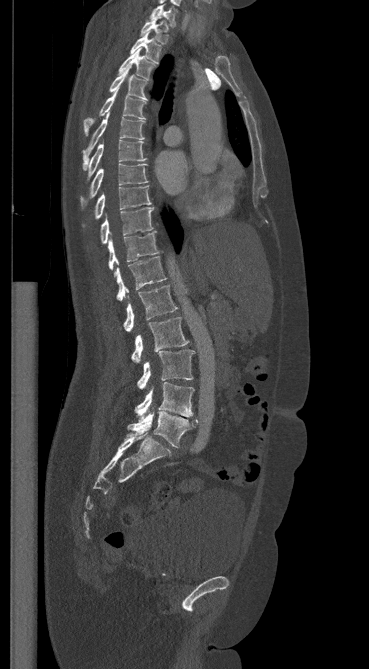 CT spine · sagittal view · 369x669 px
<vertebrae><v name="C7" x1="150" y1="3" x2="176" y2="26"/><v name="T1" x1="140" y1="17" x2="168" y2="43"/><v name="T2" x1="130" y1="32" x2="160" y2="63"/><v name="T3" x1="119" y1="49" x2="153" y2="80"/><v name="T4" x1="109" y1="67" x2="147" y2="100"/><v name="T5" x1="84" y1="87" x2="146" y2="135"/><v name="T6" x1="83" y1="113" x2="145" y2="169"/><v name="T7" x1="85" y1="140" x2="146" y2="179"/><v name="T8" x1="80" y1="163" x2="147" y2="207"/><v name="T9" x1="93" y1="186" x2="151" y2="219"/><v name="T10" x1="100" y1="207" x2="153" y2="244"/><v name="T11" x1="108" y1="232" x2="158" y2="269"/><v name="T12" x1="114" y1="256" x2="166" y2="300"/><v name="L1" x1="123" y1="285" x2="177" y2="331"/><v name="L2" x1="131" y1="317" x2="188" y2="362"/><v name="L3" x1="137" y1="349" x2="193" y2="388"/><v name="L4" x1="134" y1="382" x2="194" y2="418"/><v name="L5" x1="127" y1="411" x2="197" y2="447"/></vertebrae>